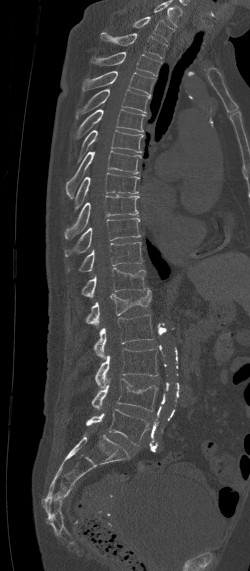 Spine computed tomography — sagittal reformat — bone window

Coordinates as <box>x1,y1,x2,y2</box>.
The highest labeled vertebra in this scan is C7; the lowest is L5.
L5: <box>86,409,150,445</box>
L4: <box>91,378,158,410</box>
L3: <box>95,348,157,387</box>
L2: <box>94,314,155,359</box>
L1: <box>84,287,152,325</box>
T12: <box>80,267,146,297</box>
T11: <box>79,242,142,271</box>
T10: <box>65,218,140,256</box>
T9: <box>64,196,138,238</box>
T8: <box>75,172,140,208</box>
T7: <box>66,150,141,198</box>
T6: <box>69,130,144,174</box>
T5: <box>75,109,146,139</box>
T4: <box>76,89,149,116</box>
T3: <box>81,71,155,96</box>
T2: <box>92,52,161,75</box>
T1: <box>100,32,168,58</box>
C7: <box>133,17,174,40</box>